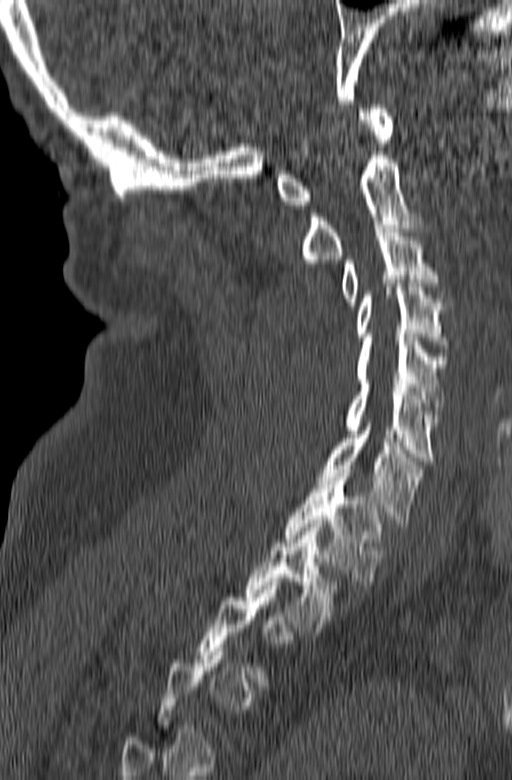

Spine computed tomography — sagittal view — the image is 165 mm wide. Box edges are left/top/right/bottom in pixels.
Not every vertebra on this slice has a box: a vertebra is boxed only from the first to the last slice where its cross-section is at least a third of its largest, and this slice is outside that range for at least one of them.
C1: left=277, top=105, right=393, bottom=208
C2: left=302, top=151, right=423, bottom=263
C3: left=342, top=225, right=438, bottom=305
C4: left=355, top=279, right=446, bottom=344
C5: left=358, top=334, right=445, bottom=418
C6: left=345, top=380, right=439, bottom=464
C7: left=318, top=419, right=425, bottom=527
T1: left=285, top=469, right=383, bottom=585
T2: left=245, top=520, right=341, bottom=631